CT spine; sagittal view; image width 350 mm; scan covers 23 annotated vertebrae; a region of this slice is masked with a uniform fill
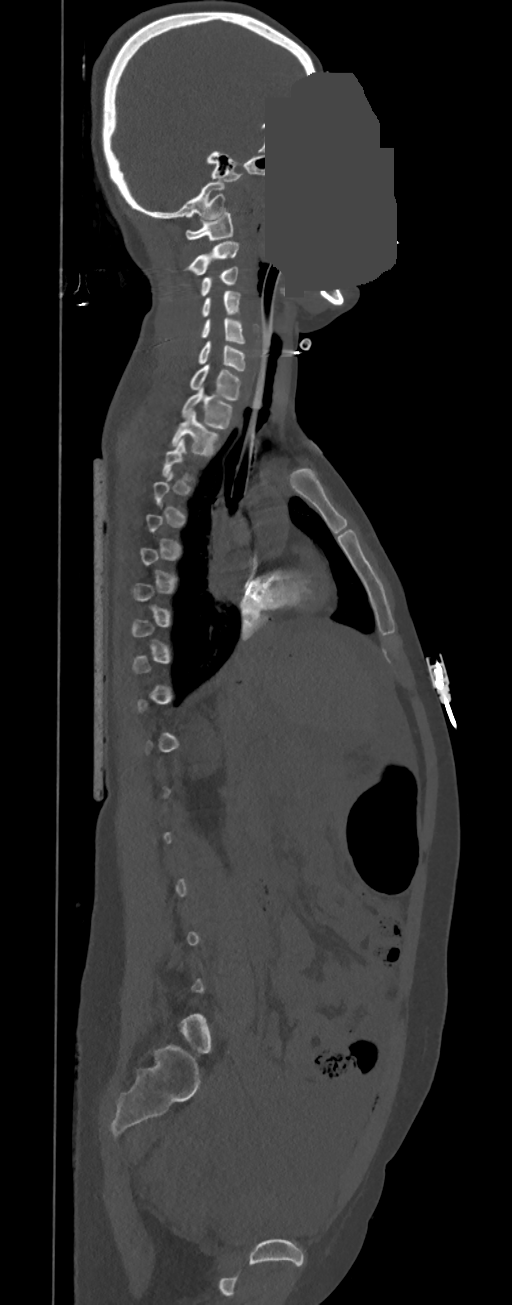
Boxes: x1:y1:x2:y2 in pixels.
A vertebra gets a box only on the slices from the first to the last where its cross-section is at least a third of its largest; on a slice outside that range it gets none.
Vertebra bounding boxes:
- T2: 171:411:218:457
- T1: 181:387:233:430
- C7: 190:365:240:401
- C6: 197:341:246:370
- C5: 200:317:245:344
- C4: 202:291:240:316
- C3: 200:266:239:295
- C2: 186:241:239:274
- C1: 185:212:233:240